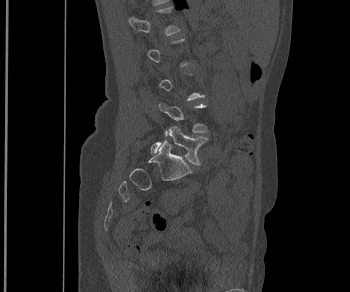 CT spine — sagittal reformat — bone-window reconstruction
A vertebra gets a box only on the slices from the first to the last where its cross-section is at least a third of its largest; on a slice outside that range it gets none.
<vertebrae><v name="L4" x1="158" y1="102" x2="208" y2="135"/><v name="L5" x1="151" y1="126" x2="208" y2="165"/></vertebrae>